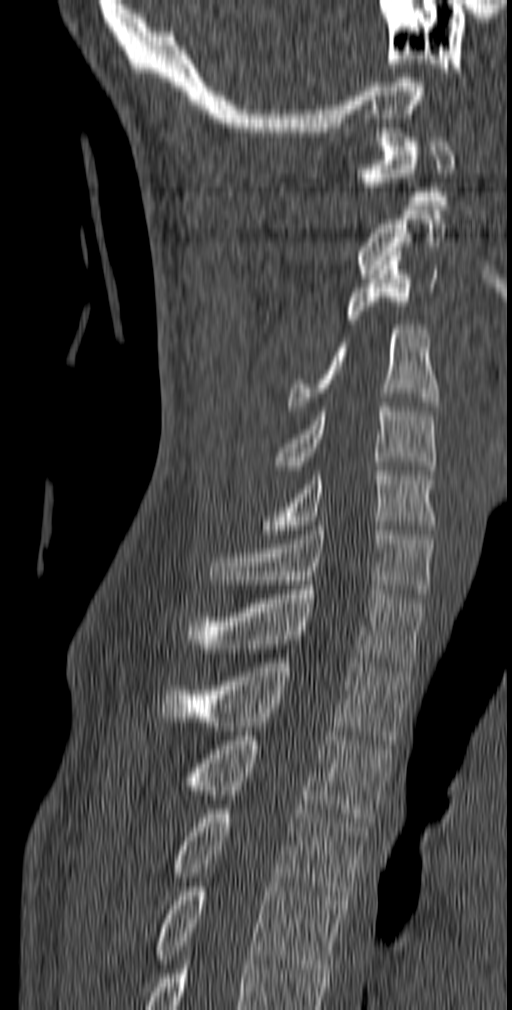
Spine computed tomography — sagittal view — 140 mm wide
Box edges are left/top/right/bottom in pixels. 12 vertebrae labeled — C1 at left=360, top=133, right=454, bottom=205; C2 at left=356, top=210, right=446, bottom=278; C3 at left=345, top=251, right=437, bottom=324; C4 at left=287, top=325, right=439, bottom=410; C5 at left=275, top=407, right=436, bottom=474; C6 at left=262, top=466, right=436, bottom=534; C7 at left=208, top=526, right=434, bottom=598; T1 at left=185, top=585, right=425, bottom=671; T2 at left=161, top=658, right=412, bottom=740; T3 at left=188, top=736, right=392, bottom=826; T4 at left=170, top=809, right=367, bottom=900; T5 at left=156, top=882, right=344, bottom=973.